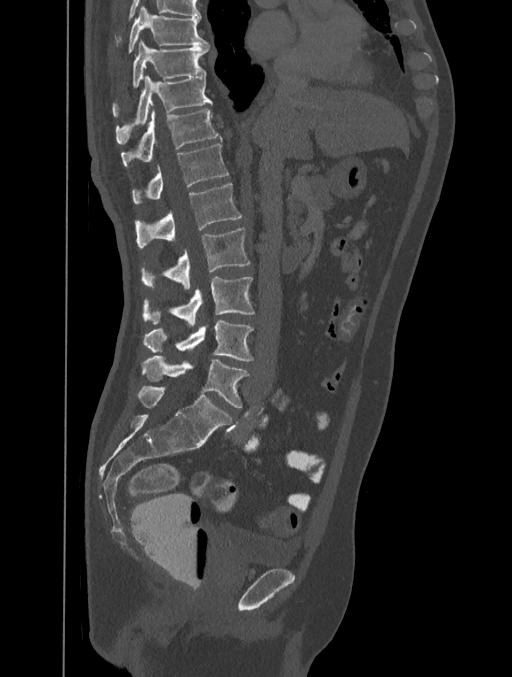 Computed tomography of the spine. sagittal view. 512x677 px. the image spans 401 mm across

Box edges are left/top/right/bottom in pixels.
| vertebra | x1 | y1 | x2 | y2 |
|---|---|---|---|---|
| T8 | 128 | 6 | 208 | 54 |
| T9 | 112 | 41 | 209 | 109 |
| T10 | 116 | 75 | 212 | 144 |
| T11 | 121 | 109 | 222 | 168 |
| T12 | 131 | 144 | 229 | 204 |
| L1 | 135 | 183 | 241 | 248 |
| L2 | 140 | 228 | 250 | 287 |
| L3 | 143 | 276 | 255 | 324 |
| L4 | 143 | 319 | 253 | 361 |
| L5 | 142 | 355 | 249 | 408 |